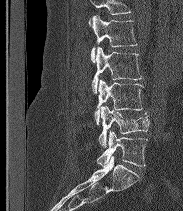
Spine computed tomography · sagittal view
Boxes are given in columns x1, y1, x2, y2, the pixel coordinates of their top-left and bottom-right corners.
Where the top of the scan cuts through a vertebra, that vertebra gets no label or box.
In these labels the spine has an L6, a sixth lumbar vertebra below L5.
| vertebra | x1 | y1 | x2 | y2 |
|---|---|---|---|---|
| L6 | 97 | 130 | 147 | 166 |
| L5 | 98 | 106 | 149 | 147 |
| L4 | 94 | 79 | 143 | 124 |
| L3 | 92 | 46 | 142 | 93 |
| L2 | 90 | 14 | 137 | 62 |